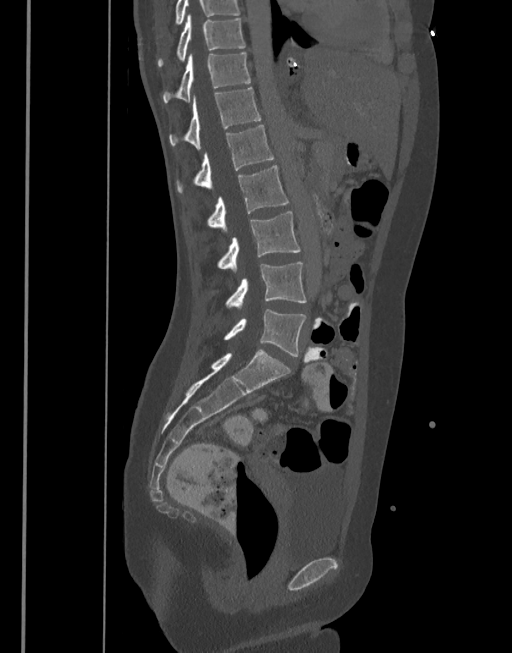 CT, spine; sagittal view; W/L 1800/400 HU; 512x653 px
In this scan, the topmost labeled vertebra is T10 and the lowest is L5.
<vertebrae><v name="T10" x1="157" y1="15" x2="245" y2="66"/><v name="T11" x1="163" y1="53" x2="250" y2="102"/><v name="T12" x1="170" y1="88" x2="261" y2="149"/><v name="L1" x1="176" y1="125" x2="273" y2="193"/><v name="L2" x1="208" y1="165" x2="288" y2="232"/><v name="L3" x1="217" y1="211" x2="300" y2="270"/><v name="L4" x1="225" y1="262" x2="306" y2="308"/><v name="L5" x1="224" y1="309" x2="306" y2="356"/></vertebrae>